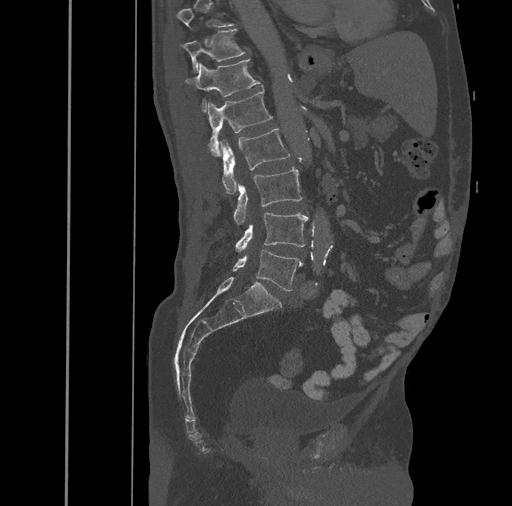
CT — sagittal view
Box edges are left/top/right/bottom in pixels.
A vertebra gets a box only on the slices from the first to the last where its cross-section is at least a third of its largest; on a slice outside that range it gets none.
T11: left=181, top=29, right=245, bottom=72
T12: left=186, top=58, right=261, bottom=111
L1: left=208, top=89, right=272, bottom=155
L2: left=219, top=128, right=289, bottom=193
L3: left=233, top=167, right=302, bottom=224
L4: left=235, top=213, right=308, bottom=252
L5: left=232, top=249, right=302, bottom=291